Computed tomography of the spine — Sagittal slice 277/512 — 512x1010 px
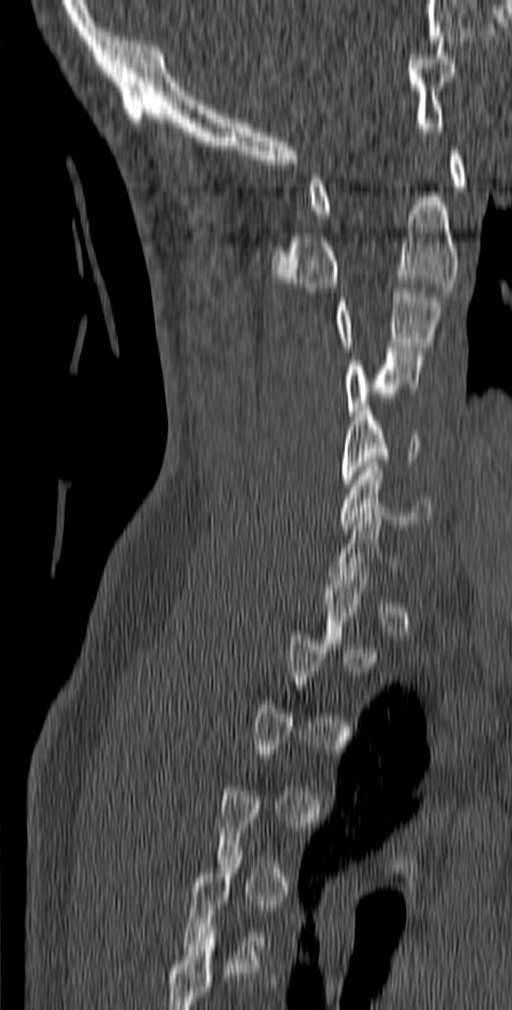 Boxes: x1 y1 x2 y2 (pixel coords, space-separated).
A vertebra gets a box only on the slices from the first to the last where its cross-section is at least a third of its largest; on a slice outside that range it gets none.
C6: 340 462 432 529
C5: 341 407 423 488
C4: 345 347 423 420
C3: 334 283 441 351
C2: 271 197 459 292
C1: 309 146 466 214